Spine computed tomography. sagittal view. the image is 146 mm wide. bone window
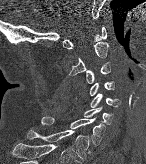

Boxes are given in columns x1, y1, x2, y2, the pixel coordinates of their top-left and bottom-right corners.
| vertebra | x1 | y1 | x2 | y2 |
|---|---|---|---|---|
| C1 | 62 | 26 | 106 | 49 |
| C2 | 69 | 42 | 108 | 76 |
| C3 | 85 | 62 | 110 | 83 |
| C4 | 89 | 81 | 114 | 95 |
| C5 | 90 | 94 | 119 | 107 |
| C6 | 83 | 107 | 112 | 124 |
| C7 | 41 | 116 | 105 | 145 |
| T1 | 27 | 130 | 89 | 160 |